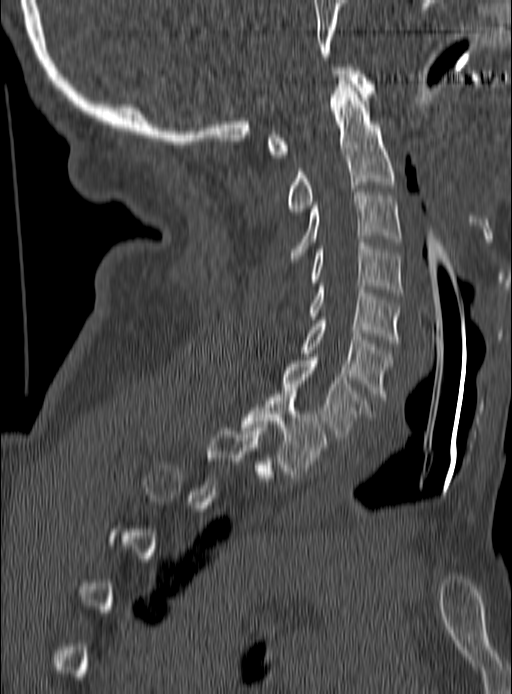

Computed tomography of the spine — sagittal view
In the table, x1 and y1 are a box's top-left corner and x2 and y2 its bottom-right corner, in pixels.
Not every vertebra on this slice has a box: a vertebra is boxed only from the first to the last slice where its cross-section is at least a third of its largest, and this slice is outside that range for at least one of them.
| vertebra | x1 | y1 | x2 | y2 |
|---|---|---|---|---|
| C1 | 268 | 67 | 374 | 157 |
| C2 | 286 | 77 | 396 | 215 |
| C3 | 289 | 189 | 401 | 262 |
| C4 | 308 | 243 | 401 | 295 |
| C5 | 308 | 283 | 401 | 343 |
| C6 | 300 | 317 | 393 | 400 |
| C7 | 281 | 357 | 372 | 440 |
| T1 | 241 | 391 | 329 | 477 |